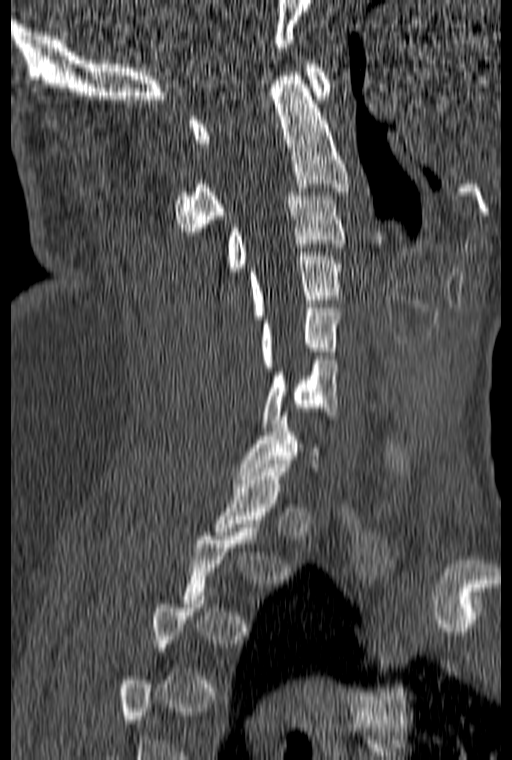

CT, spine — sagittal reformat
Boxes are given in columns x1, y1, x2, y2, the pixel coordinates of their top-left and bottom-right corners.
A vertebra gets a box only on the slices from the first to the last where its cross-section is at least a third of its largest; on a slice outside that range it gets none.
| vertebra | x1 | y1 | x2 | y2 |
|---|---|---|---|---|
| C1 | 189 | 60 | 331 | 143 |
| C2 | 174 | 72 | 349 | 235 |
| C3 | 227 | 192 | 346 | 271 |
| C4 | 248 | 252 | 343 | 319 |
| C5 | 260 | 308 | 340 | 367 |
| C6 | 263 | 356 | 338 | 427 |